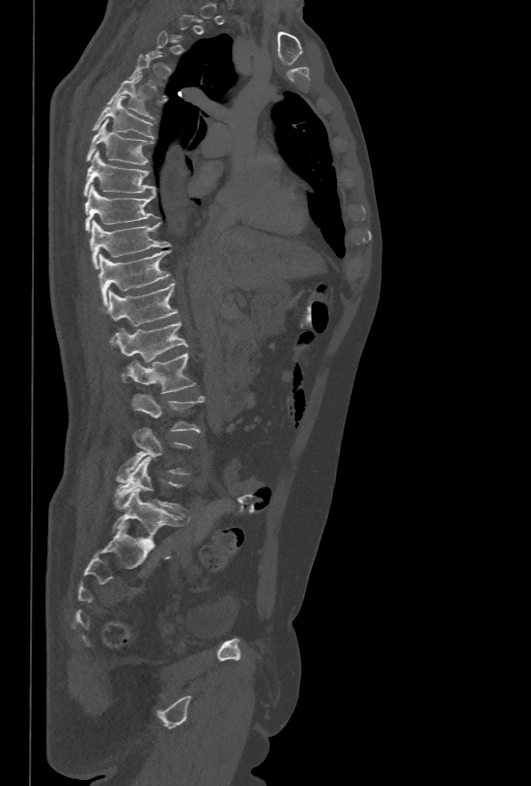
Spine computed tomography — sagittal view — 531x786 px
Each box is [x1, y1, x2, y2] in pixels: top-left corner, then bottom-right corner.
Not every vertebra on this slice has a box: a vertebra is boxed only from the first to the last slice where its cross-section is at least a third of its largest, and this slice is outside that range for at least one of them.
{"vertebrae":{"T5":[107,75,156,121],"T6":[92,96,154,138],"T7":[85,120,153,164],"T8":[83,150,155,196],"T9":[84,185,157,231],"T10":[90,219,169,268],"T11":[99,249,170,306],"T12":[106,283,177,326],"L1":[115,322,188,378],"L2":[128,353,196,393],"L3":[132,394,204,432],"L4":[121,427,191,476],"L5":[114,456,183,513]}}